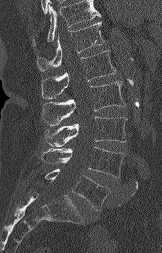 Spine CT — sagittal view — bone window — the image is 162 mm wide — 162x253 px
Boxes are (x1, y1, x2, y2) in pixels.
No box is given to a vertebra that the top edge of the scan cuts off.
Vertebra bounding boxes:
- L5: (45, 169, 109, 210)
- L4: (41, 147, 124, 178)
- L3: (45, 116, 127, 146)
- L2: (42, 81, 125, 125)
- L1: (41, 50, 115, 99)
- T12: (36, 21, 104, 71)